CT. sagittal reformat. 512x1459 px. 245 mm wide
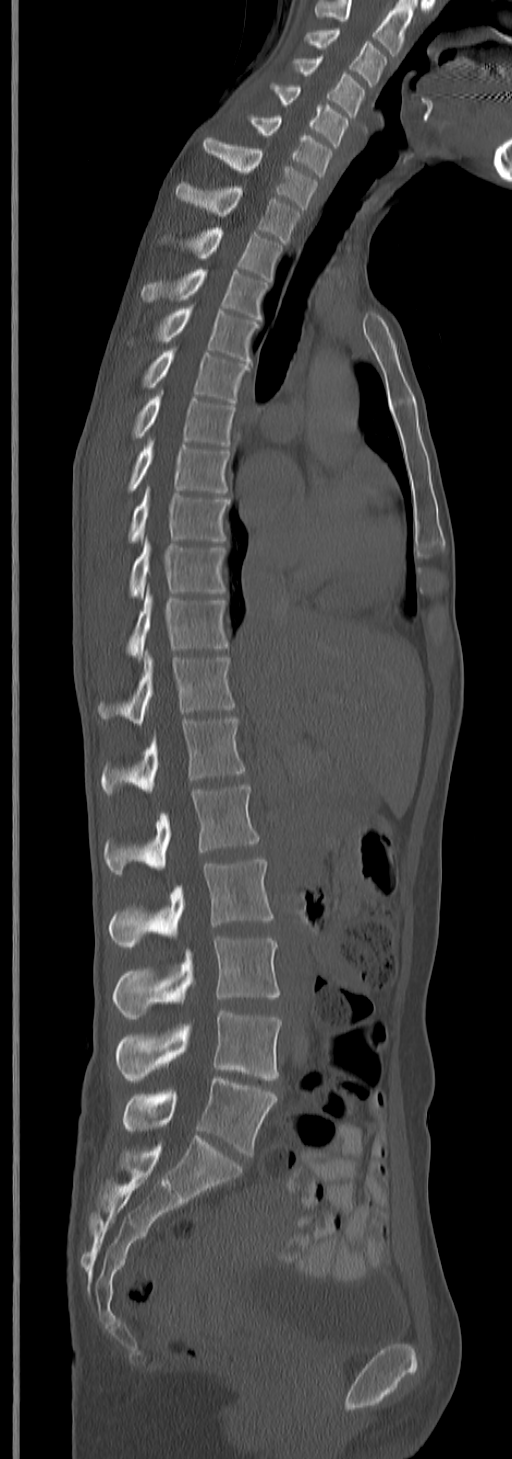 This scan's labels start at C3 at the top and end at L5 at the bottom.
<vertebrae><v name="C3" x1="306" y1="28" x2="386" y2="85"/><v name="C4" x1="293" y1="57" x2="365" y2="117"/><v name="C5" x1="272" y1="82" x2="351" y2="146"/><v name="C6" x1="247" y1="113" x2="332" y2="177"/><v name="C7" x1="203" y1="136" x2="317" y2="209"/><v name="T1" x1="176" y1="182" x2="300" y2="242"/><v name="T2" x1="184" y1="226" x2="284" y2="282"/><v name="T3" x1="141" y1="268" x2="267" y2="319"/><v name="T4" x1="151" y1="306" x2="259" y2="361"/><v name="T5" x1="143" y1="348" x2="250" y2="403"/><v name="T6" x1="132" y1="391" x2="236" y2="447"/><v name="T7" x1="126" y1="439" x2="229" y2="493"/><v name="T8" x1="128" y1="485" x2="229" y2="543"/><v name="T9" x1="130" y1="540" x2="225" y2="597"/><v name="T10" x1="126" y1="590" x2="229" y2="660"/><v name="T11" x1="99" y1="651" x2="234" y2="725"/><v name="T12" x1="101" y1="718" x2="244" y2="796"/><v name="L1" x1="103" y1="784" x2="259" y2="875"/><v name="L2" x1="107" y1="858" x2="273" y2="949"/><v name="L3" x1="111" y1="937" x2="280" y2="1020"/><v name="L4" x1="115" y1="1010" x2="282" y2="1080"/><v name="L5" x1="122" y1="1077" x2="277" y2="1155"/></vertebrae>